Spine CT. Sagittal slice 271/512. W/L 1800/400 HU. 461 mm image width
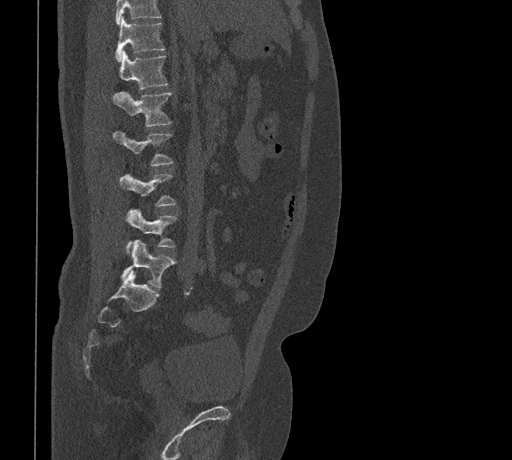

A vertebra cut off by the top edge of the scan is not labeled and has no box.
<vertebrae><v name="T11" x1="116" y1="17" x2="164" y2="61"/><v name="T12" x1="119" y1="51" x2="168" y2="89"/><v name="L1" x1="112" y1="91" x2="172" y2="126"/><v name="L2" x1="112" y1="131" x2="173" y2="166"/><v name="L3" x1="119" y1="173" x2="176" y2="206"/><v name="L4" x1="126" y1="209" x2="177" y2="254"/><v name="L5" x1="121" y1="240" x2="175" y2="288"/></vertebrae>